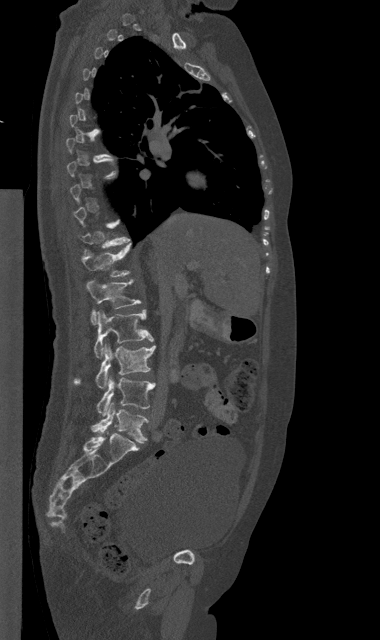 Spine CT — sagittal view. Each box given as x1,y1,x2,y2. A vertebra is boxed only from the first to the last slice where its cross-section is at least a third of its largest; slices outside that range leave it without a box. The labeled vertebrae in this slice are: T12 at x1=82, y1=243, x2=131, y2=276, L1 at x1=87, y1=279, x2=141, y2=324, L2 at x1=94, y1=310, x2=153, y2=358, L3 at x1=74, y1=343, x2=155, y2=388, L4 at x1=97, y1=376, x2=155, y2=416, L5 at x1=91, y1=402, x2=148, y2=442.